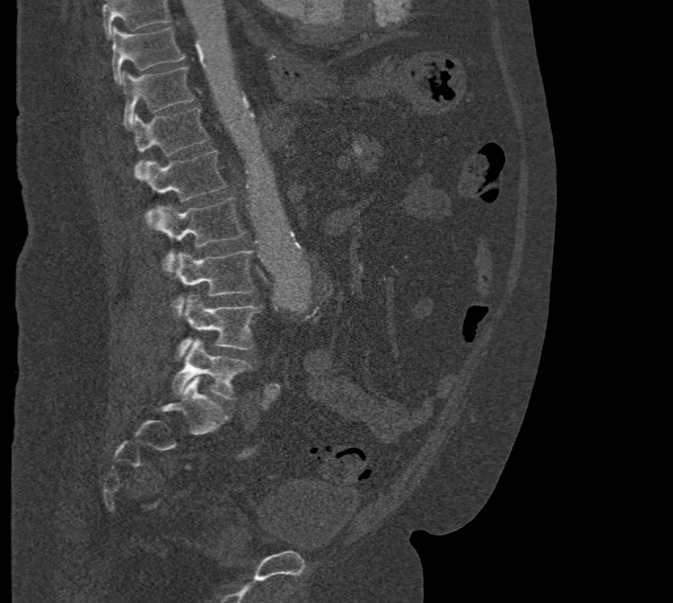 Spine CT · sagittal view · W/L 1800/400 HU
Vertebrae that run past the top of the scan are left unlabeled.
<vertebrae><v name="T10" x1="112" y1="26" x2="184" y2="84"/><v name="T11" x1="121" y1="66" x2="195" y2="128"/><v name="T12" x1="131" y1="108" x2="209" y2="179"/><v name="L1" x1="143" y1="150" x2="226" y2="228"/><v name="L2" x1="151" y1="198" x2="246" y2="274"/><v name="L3" x1="172" y1="250" x2="253" y2="317"/><v name="L4" x1="177" y1="293" x2="262" y2="358"/><v name="L5" x1="171" y1="338" x2="251" y2="399"/></vertebrae>